CT spine. sagittal view. W/L 1800/400 HU. 331 mm wide
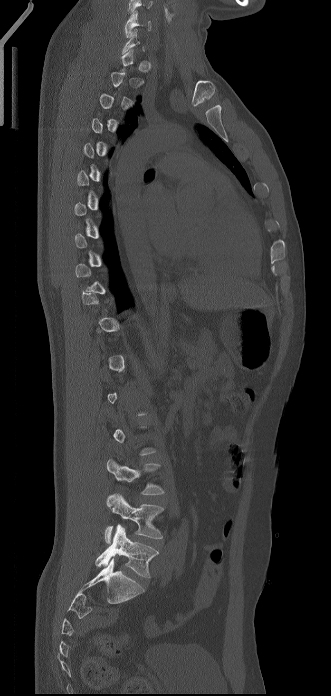

A vertebra gets a box only on the slices from the first to the last where its cross-section is at least a third of its largest; on a slice outside that range it gets none.
Labels in this scan begin with C6 at the top and end with L5 at the bottom.
<vertebrae><v name="C6" x1="124" y1="10" x2="151" y2="37"/><v name="L3" x1="107" y1="459" x2="164" y2="494"/><v name="L4" x1="105" y1="493" x2="163" y2="543"/><v name="L5" x1="95" y1="523" x2="158" y2="577"/></vertebrae>